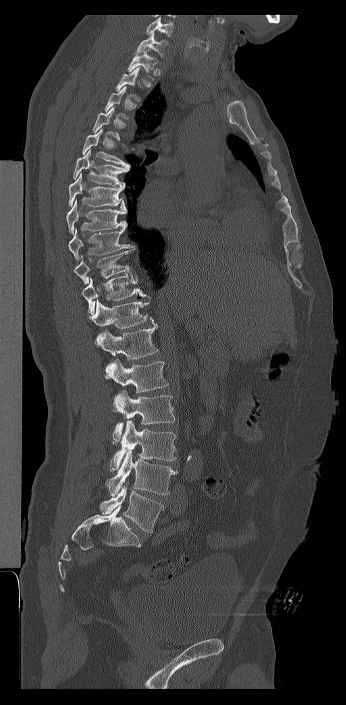
CT; sagittal view; 346 mm image width

Each box given as x1,y1,x2,y2.
A vertebra gets a box only on the slices from the first to the last where its cross-section is at least a third of its largest; on a slice outside that range it gets none.
Labels in this scan begin with C7 at the top and end with L6 at the bottom.
The labels name a sixth lumbar vertebra for this spine: L6, after L5.
Vertebra bounding boxes:
- C7: x1=135, y1=32, x2=168, y2=56
- T1: x1=127, y1=49, x2=157, y2=80
- T5: x1=82, y1=128, x2=134, y2=165
- T6: x1=73, y1=149, x2=130, y2=187
- T7: x1=68, y1=172, x2=123, y2=207
- T8: x1=66, y1=199, x2=127, y2=234
- T9: x1=68, y1=228, x2=134, y2=260
- T10: x1=73, y1=248, x2=137, y2=284
- T11: x1=81, y1=274, x2=148, y2=314
- T12: x1=88, y1=297, x2=154, y2=328
- L1: x1=94, y1=324, x2=158, y2=359
- L2: x1=105, y1=359, x2=168, y2=393
- L3: x1=112, y1=390, x2=175, y2=442
- L4: x1=109, y1=420, x2=176, y2=471
- L5: x1=105, y1=451, x2=177, y2=495
- L6: x1=100, y1=485, x2=164, y2=532